Computed tomography of the spine. sagittal reformat. W/L 1800/400 HU. 512x651 px. 7 vertebrae labeled in this scan
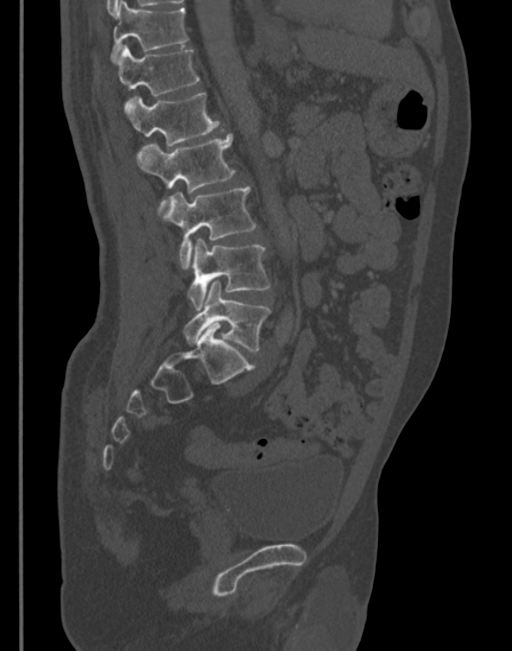

Coordinates as <box>x1,y1,x2,y2</box>.
Vertebra bounding boxes:
- L5: <box>184,280,270,352</box>
- L4: <box>187,239,270,310</box>
- L3: <box>162,186,257,270</box>
- L2: <box>138,133,235,216</box>
- L1: <box>124,93,220,146</box>
- T12: <box>117,45,199,109</box>
- T11: <box>111,1,189,63</box>